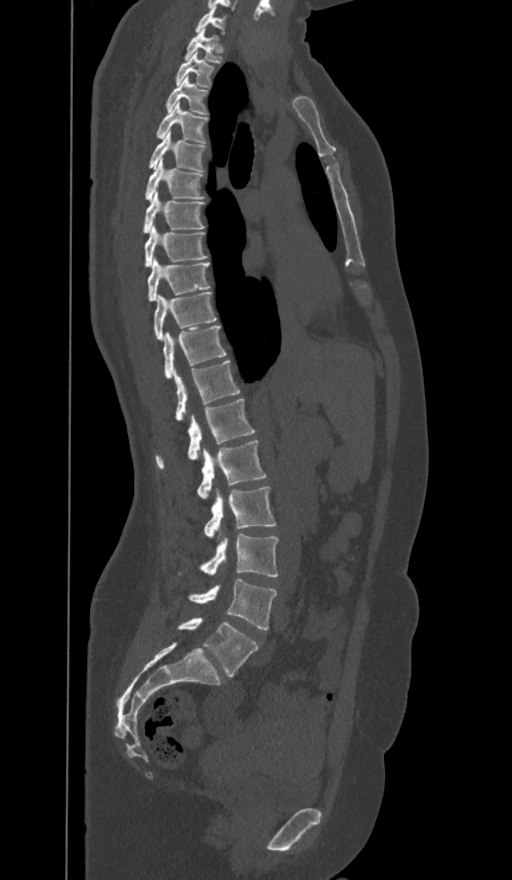 CT spine; sagittal reformat; bone window
Each box is [x1, y1, x2, y2] in pixels: top-left corner, then bottom-right corner.
In these labels the spine has an L6, a sixth lumbar vertebra below L5.
{"vertebrae":{"C7":[196,6,225,32],"T1":[183,28,222,63],"T2":[175,53,214,86],"T3":[165,76,207,114],"T4":[156,102,208,142],"T5":[149,132,206,171],"T6":[145,158,204,200],"T7":[142,191,204,233],"T8":[144,225,207,265],"T9":[148,259,210,301],"T10":[153,291,216,339],"T11":[163,325,226,377],"T12":[174,360,240,420],"L1":[156,398,255,468],"L2":[197,440,266,498],"L3":[204,487,275,536],"L4":[179,533,278,577],"L5":[189,579,277,630],"L6":[178,617,258,677]}}